CT spine — sagittal reformat — 19 vertebrae labeled in this scan — image width 179 mm
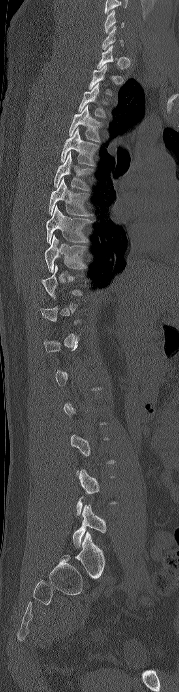

Bounding boxes as [x1, y1, x2, y2] in pixel coordinates.
A vertebra gets a box only on the slices from the first to the last where its cross-section is at least a third of its largest; on a slice outside that range it gets none.
This scan's labels start at C6 at the top and end at L5 at the bottom.
L5: [72, 505, 106, 547]
T9: [45, 235, 86, 272]
T8: [46, 205, 90, 243]
T7: [48, 178, 91, 216]
T6: [54, 152, 90, 190]
T5: [60, 128, 97, 165]
T4: [69, 105, 102, 142]
T3: [78, 83, 106, 117]
C7: [102, 26, 123, 49]
C6: [104, 10, 124, 33]